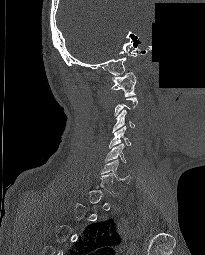
CT, spine; sagittal view; bone-window reconstruction; an area of the scan was removed and filled with constant pixels

Box edges are left/top/right/bottom in pixels.
A vertebra gets a box only on the slices from the first to the last where its cross-section is at least a third of its largest; on a slice outside that range it gets none.
C6: left=101, top=159, right=130, bottom=183
C5: left=105, top=143, right=125, bottom=162
C4: left=109, top=126, right=130, bottom=148
C3: left=112, top=109, right=135, bottom=132
C1: left=111, top=71, right=136, bottom=96